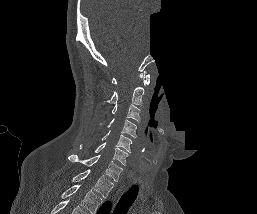
CT, spine · 257 mm image width · sagittal view · W/L 1800/400 HU · some of the image was removed or blocked out with constant pixels

Each box given as x1,y1,x2,y2. In this scan, the topmost labeled vertebra is C1 and the lowest is T1. 8 vertebrae labeled — T1 at x1=71, y1=169, x2=113, y2=198; C7 at x1=68, y1=154, x2=123, y2=181; C6 at x1=79, y1=142, x2=128, y2=165; C5 at x1=102, y1=130, x2=131, y2=152; C4 at x1=107, y1=118, x2=136, y2=137; C3 at x1=111, y1=104, x2=140, y2=121; C2 at x1=103, y1=87, x2=144, y2=105; C1 at x1=111, y1=70, x2=149, y2=85.